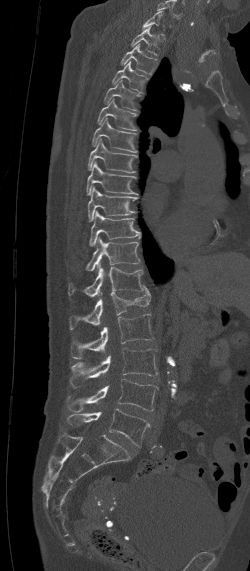
Spine CT; sagittal view; bone window; 250x571 px; image width 250 mm
Bounding boxes as [x1, y1, x2, y2] in pixel coordinates.
Not every vertebra on this slice has a box: a vertebra is boxed only from the first to the last slice where its cross-section is at least a third of its largest, and this slice is outside that range for at least one of them.
Vertebra bounding boxes:
- T1: [130, 26, 160, 56]
- T2: [120, 43, 156, 74]
- T3: [112, 61, 147, 94]
- T4: [104, 80, 140, 110]
- T5: [96, 98, 138, 130]
- T6: [92, 117, 137, 152]
- T7: [88, 138, 137, 173]
- T8: [87, 161, 138, 195]
- T9: [88, 187, 138, 221]
- T10: [89, 211, 141, 246]
- T11: [85, 237, 139, 270]
- T12: [68, 262, 143, 297]
- L1: [70, 285, 151, 329]
- L2: [71, 314, 155, 358]
- L3: [70, 348, 157, 386]
- L4: [67, 379, 159, 411]
- L5: [67, 408, 150, 446]